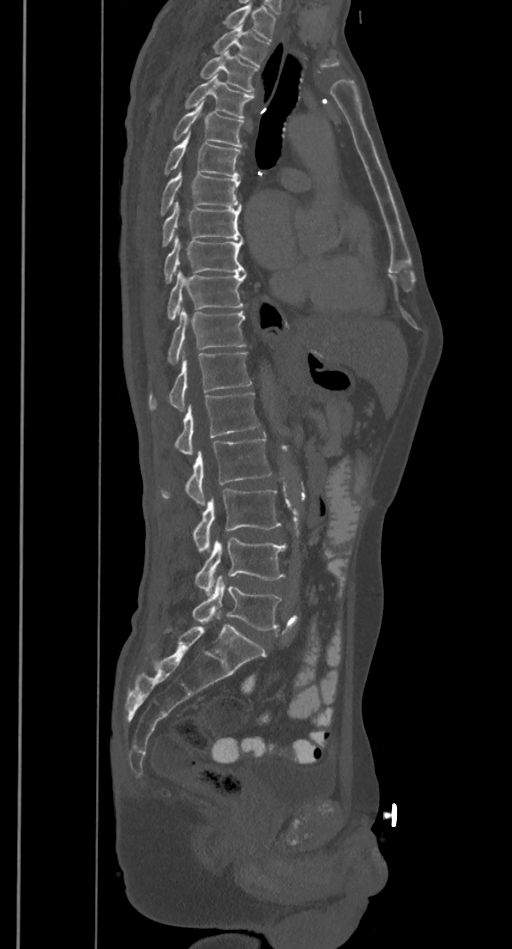

Spine CT. sagittal reformat. image 385 mm wide. W/L 1800/400 HU. 512x949 px
Each box given as x1,y1,x2,y2.
Vertebrae that run past the top of the scan are left unlabeled.
| vertebra | x1 | y1 | x2 | y2 |
|---|---|---|---|---|
| T2 | 213 | 26 | 270 | 65 |
| T3 | 199 | 53 | 258 | 91 |
| T4 | 185 | 75 | 254 | 119 |
| T5 | 173 | 102 | 244 | 146 |
| T6 | 163 | 135 | 241 | 177 |
| T7 | 159 | 171 | 240 | 216 |
| T8 | 162 | 202 | 241 | 246 |
| T9 | 163 | 238 | 245 | 283 |
| T10 | 166 | 270 | 246 | 321 |
| T11 | 168 | 310 | 245 | 364 |
| T12 | 149 | 352 | 252 | 411 |
| L1 | 174 | 391 | 259 | 454 |
| L2 | 159 | 437 | 271 | 504 |
| L3 | 193 | 490 | 281 | 551 |
| L4 | 194 | 537 | 286 | 594 |
| L5 | 191 | 576 | 282 | 630 |